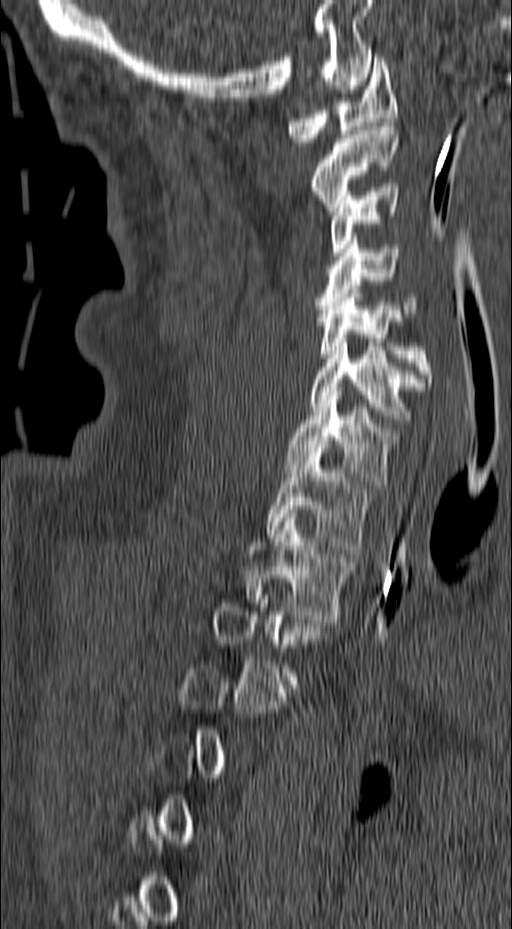

CT spine · sagittal view. Each box given as x1,y1,x2,y2.
A vertebra gets a box only on the slices from the first to the last where its cross-section is at least a third of its largest; on a slice outside that range it gets none.
T2: x1=246, y1=514, x2=352, y2=623
T1: x1=266, y1=448, x2=369, y2=549
C7: x1=285, y1=387, x2=398, y2=488
C6: x1=311, y1=338, x2=425, y2=423
C5: x1=317, y1=289, x2=432, y2=386
C4: x1=316, y1=236, x2=418, y2=317
C3: x1=331, y1=188, x2=399, y2=256
C2: x1=311, y1=122, x2=398, y2=215
C1: x1=287, y1=57, x2=398, y2=146